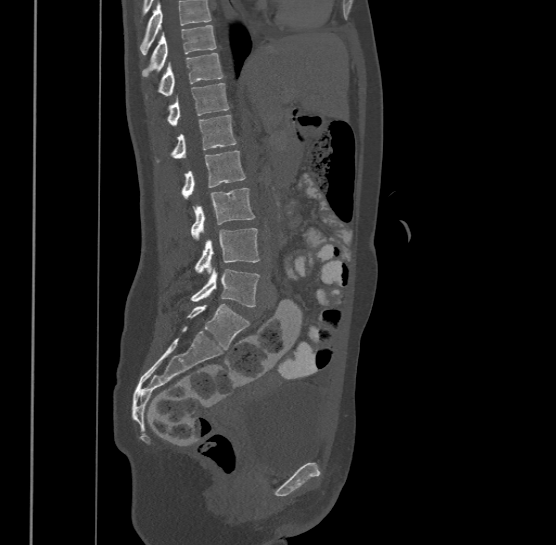 CT, spine · sagittal view

Box values are [left, top, right, bottom] in pixels.
A vertebra cut off by the top edge of the scan is not labeled and has no box.
This scan's labels start at T9 at the top and end at L4 at the bottom.
{"vertebrae":{"T9":[142,25,216,75],"T10":[157,52,223,94],"T11":[167,82,229,125],"T12":[157,114,236,161],"L1":[181,150,245,197],"L2":[191,188,255,239],"L3":[194,227,259,273],"L4":[191,267,259,306]}}